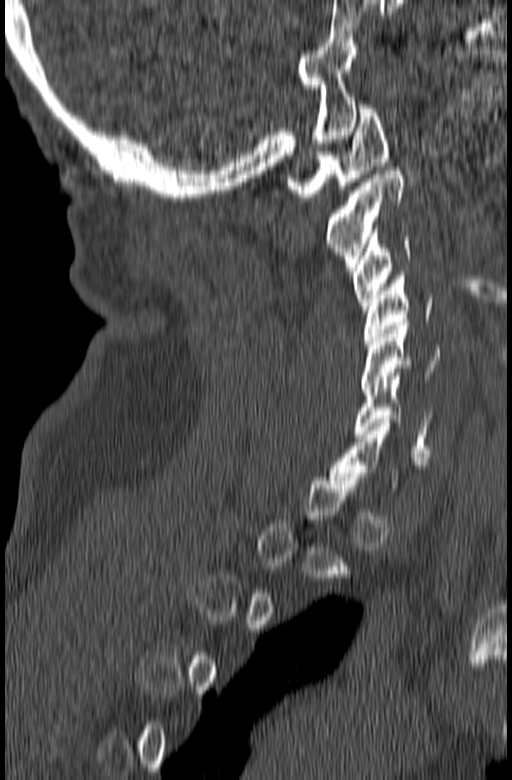 Computed tomography of the spine. sagittal view. bone-window reconstruction. image 165 mm wide
Boxes: x1 y1 x2 y2 (pixel coords, space-separated).
A vertebra is boxed only from the first to the last slice where its cross-section is at least a third of its largest; slices outside that range leave it without a box.
C6: 355 376 434 453
C5: 361 322 442 391
C4: 364 272 434 344
C3: 352 225 413 313
C2: 327 167 405 271
C1: 287 105 388 197